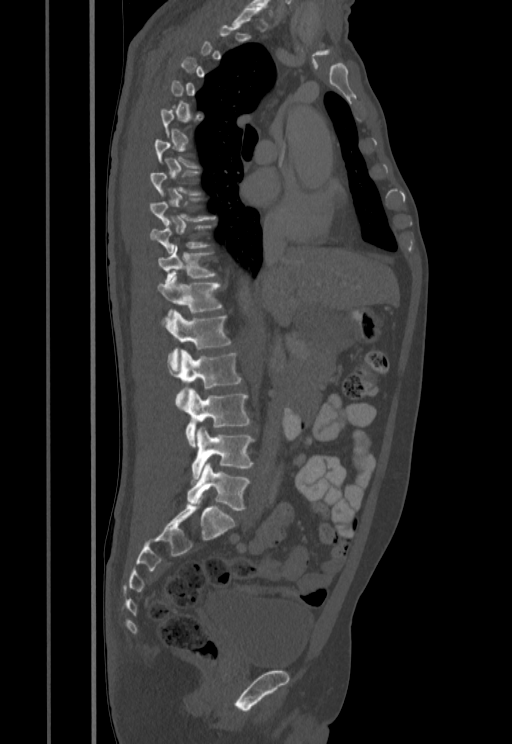

CT, spine. image width 455 mm. sagittal reformat

In the table, x1 and y1 are a box's top-left corner and x2 and y2 its bottom-right corner, in pixels.
Each vertebra is boxed only on the slices from the first to the last where its cross-section reaches a third of its largest, so a slice outside that range leaves it unboxed.
| vertebra | x1 | y1 | x2 | y2 |
|---|---|---|---|---|
| T9 | 150 | 198 | 215 | 225 |
| T10 | 150 | 225 | 210 | 254 |
| T11 | 157 | 245 | 215 | 283 |
| T12 | 157 | 276 | 222 | 314 |
| L1 | 161 | 311 | 231 | 370 |
| L2 | 167 | 350 | 241 | 410 |
| L3 | 183 | 388 | 250 | 448 |
| L4 | 191 | 426 | 253 | 481 |
| L5 | 187 | 463 | 250 | 510 |